CT, spine · sagittal plane, index 268 · 461 mm image width · W/L 1800/400 HU · 17 vertebrae labeled in this scan
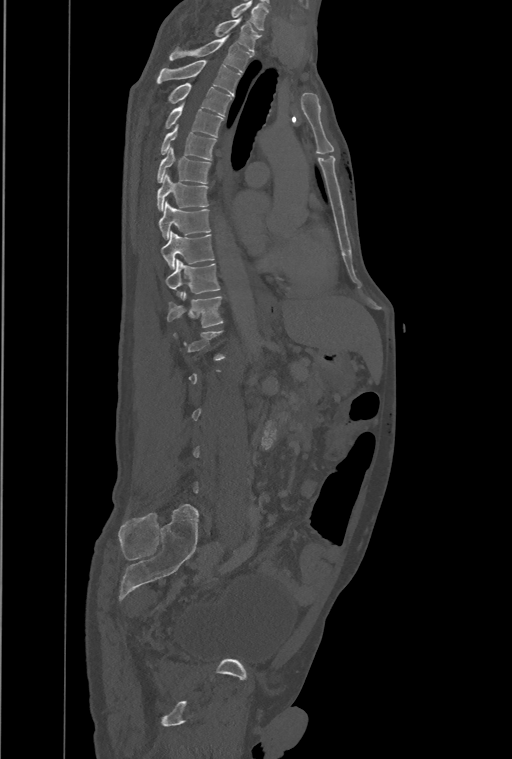
Boxes are (x1, y1, x2, y2) in pixels. Each vertebra is boxed only on the slices from the first to the last where its cross-section reaches a third of its largest, so a slice outside that range leaves it unboxed. This scan's labels start at T1 at the top and end at L4 at the bottom. Vertebrae labeled: T1 at (215, 18, 259, 53), T2 at (170, 35, 252, 71), T3 at (157, 60, 239, 95), T4 at (167, 82, 231, 115), T5 at (165, 104, 223, 137), T6 at (161, 126, 216, 159), T7 at (157, 148, 211, 183), T8 at (157, 175, 208, 210), T9 at (158, 201, 211, 239), T10 at (161, 231, 214, 269), T11 at (166, 259, 219, 297), T12 at (167, 291, 223, 327).